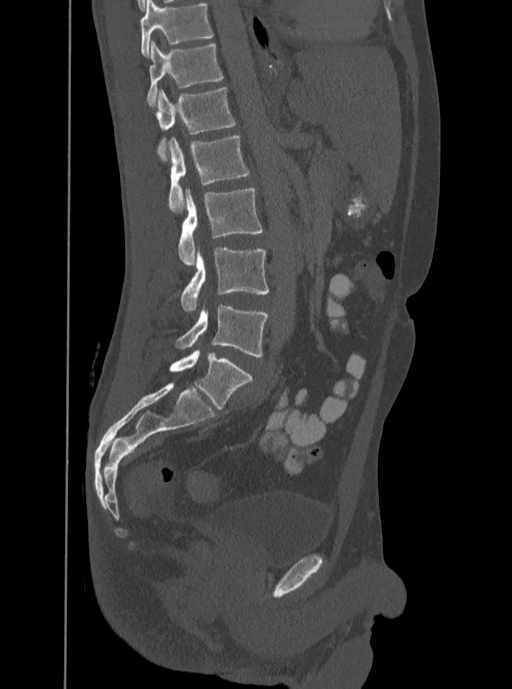 Spine CT. sagittal view. bone window
Boxes are given in columns x1, y1, x2, y2, the pixel coordinates of their top-left and bottom-right corners.
Labels in this scan begin with T12 at the top and end with L5 at the bottom.
| vertebra | x1 | y1 | x2 | y2 |
|---|---|---|---|---|
| T12 | 147 | 41 | 223 | 106 |
| L1 | 155 | 87 | 236 | 161 |
| L2 | 167 | 136 | 249 | 212 |
| L3 | 178 | 188 | 262 | 265 |
| L4 | 181 | 246 | 268 | 311 |
| L5 | 175 | 305 | 268 | 357 |